CT; sagittal reformat; Bone window (WL 400, WW 1800)
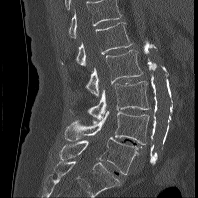

Labels in this scan begin with L1 at the top and end with L5 at the bottom.
<vertebrae><v name="L5" x1="59" y1="137" x2="138" y2="174"/><v name="L4" x1="64" y1="110" x2="149" y2="144"/><v name="L3" x1="69" y1="81" x2="150" y2="119"/><v name="L2" x1="85" y1="50" x2="143" y2="97"/><v name="L1" x1="61" y1="22" x2="132" y2="66"/></vertebrae>